CT. the image spans 230 mm across. sagittal view
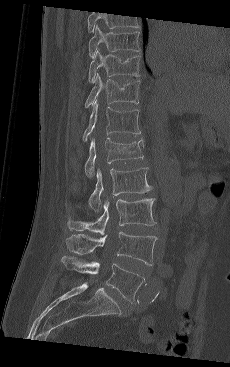

Each box given as x1,y1,x2,y2.
This scan's labels start at T9 at the top and end at L5 at the bottom.
| vertebra | x1 | y1 | x2 | y2 |
|---|---|---|---|---|
| T9 | 88 | 25 | 141 | 57 |
| T10 | 88 | 49 | 141 | 82 |
| T11 | 84 | 73 | 140 | 108 |
| T12 | 82 | 102 | 141 | 141 |
| L1 | 84 | 137 | 144 | 177 |
| L2 | 88 | 167 | 151 | 211 |
| L3 | 67 | 198 | 156 | 235 |
| L4 | 66 | 231 | 157 | 265 |
| L5 | 62 | 256 | 145 | 302 |